CT spine — sagittal plane, index 259 — W/L 1800/400 HU — 512x808 px — 412 mm image width — 17 vertebrae labeled in this scan
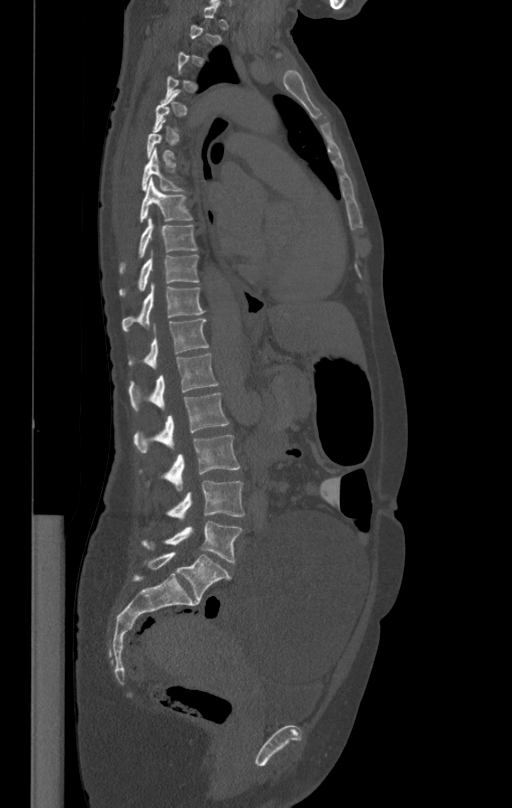

Boxes: x1 y1 x2 y2 (pixel coords, space-separated).
Not every vertebra on this slice has a box: a vertebra is boxed only from the first to the last slice where its cross-section is at least a third of its largest, and this slice is outside that range for at least one of them.
Vertebra bounding boxes:
- T7: 142 149 184 190
- T8: 139 179 193 223
- T9: 119 217 196 273
- T10: 119 251 199 295
- T11: 122 283 205 330
- T12: 129 318 209 368
- L1: 129 352 219 411
- L2: 134 393 229 452
- L3: 140 435 240 491
- L4: 168 481 245 519
- L5: 142 520 242 562